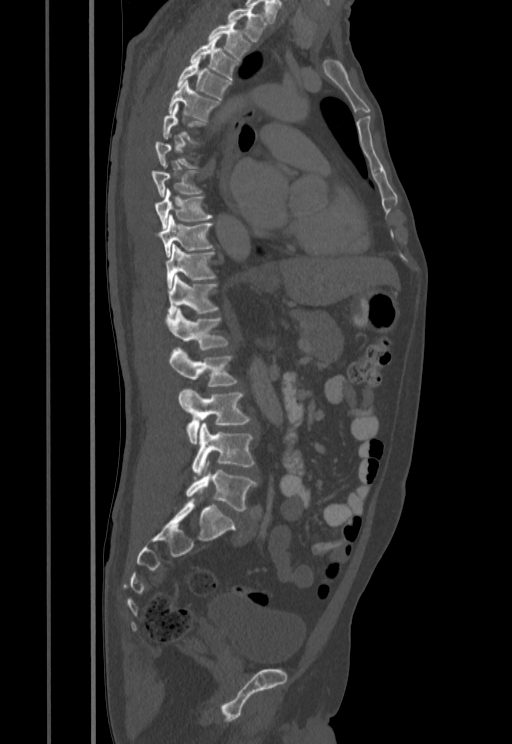 Spine CT. sagittal view. 512x744 px. image 455 mm wide
Not every vertebra on this slice has a box: a vertebra is boxed only from the first to the last slice where its cross-section is at least a third of its largest, and this slice is outside that range for at least one of them.
<vertebrae><v name="T1" x1="227" y1="8" x2="266" y2="41"/><v name="T2" x1="208" y1="21" x2="250" y2="59"/><v name="T3" x1="190" y1="35" x2="237" y2="79"/><v name="T4" x1="177" y1="60" x2="231" y2="99"/><v name="T5" x1="168" y1="80" x2="219" y2="121"/><v name="T8" x1="151" y1="170" x2="201" y2="196"/><v name="T9" x1="154" y1="188" x2="212" y2="228"/><v name="T10" x1="157" y1="215" x2="213" y2="256"/><v name="T11" x1="165" y1="245" x2="215" y2="287"/><v name="T12" x1="168" y1="274" x2="218" y2="314"/><v name="L1" x1="166" y1="308" x2="227" y2="349"/><v name="L2" x1="169" y1="347" x2="236" y2="386"/><v name="L3" x1="178" y1="388" x2="250" y2="443"/><v name="L4" x1="192" y1="422" x2="254" y2="479"/><v name="L5" x1="186" y1="471" x2="257" y2="511"/></vertebrae>